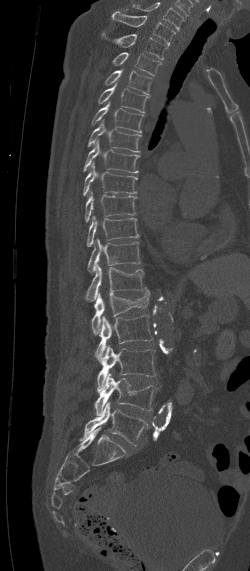 CT. sagittal reformat. W/L 1800/400 HU
Each row gives a vertebra's box as x1, y1, x2, y2 in pixels: top-left corner, then bottom-right corner.
The highest labeled vertebra in this scan is C7; the lowest is L5.
| vertebra | x1 | y1 | x2 | y2 |
|---|---|---|---|---|
| C7 | 112 | 11 | 175 | 45 |
| T1 | 101 | 33 | 168 | 59 |
| T2 | 113 | 52 | 161 | 76 |
| T3 | 104 | 69 | 152 | 96 |
| T4 | 98 | 84 | 147 | 113 |
| T5 | 91 | 101 | 143 | 132 |
| T6 | 88 | 119 | 141 | 152 |
| T7 | 83 | 139 | 140 | 175 |
| T8 | 83 | 163 | 137 | 195 |
| T9 | 85 | 192 | 136 | 221 |
| T10 | 87 | 216 | 139 | 246 |
| T11 | 87 | 238 | 139 | 274 |
| T12 | 84 | 266 | 145 | 302 |
| L1 | 91 | 287 | 150 | 333 |
| L2 | 95 | 311 | 152 | 360 |
| L3 | 97 | 346 | 155 | 392 |
| L4 | 94 | 373 | 158 | 415 |
| L5 | 78 | 402 | 147 | 445 |